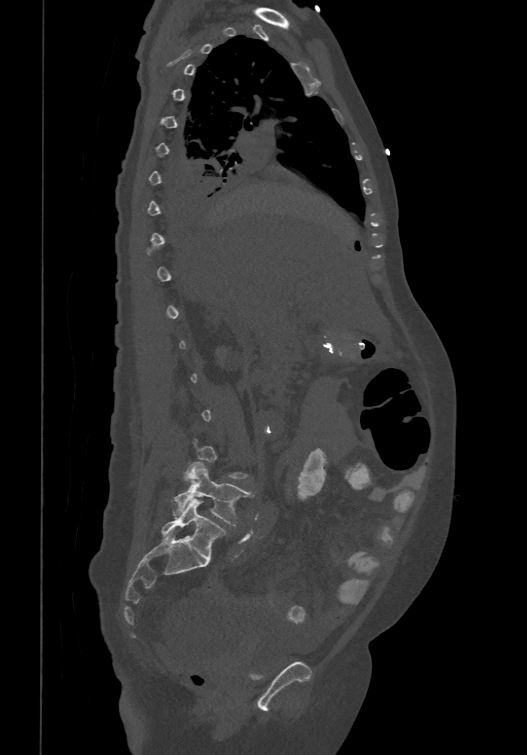 CT, spine — sagittal view — image width 474 mm

Coordinates as <box>x1,y1,x2,y2</box>.
Each vertebra is boxed only on the slices from the first to the last where its cross-section reaches a third of its largest, so a slice outside that range leaves it unboxed.
The labels name a sixth lumbar vertebra for this spine: L6, after L5.
L5: <box>173,462,253,526</box>
L6: <box>161,498,225,559</box>